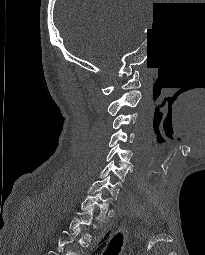
Computed tomography of the spine · sagittal view · an area of the scan was removed and filled with constant pixels

Boxes: x1 y1 x2 y2 (pixel coords, space-separated).
The highest labeled vertebra in this scan is C1; the lowest is T2.
Vertebra bounding boxes:
- C1: 101 71 140 95
- C2: 107 90 141 115
- C3: 112 112 138 128
- C4: 109 129 135 146
- C5: 106 144 133 166
- C6: 99 160 132 182
- C7: 88 175 121 199
- T1: 81 191 111 221
- T2: 69 206 94 238